CT, spine. sagittal view. W/L 1800/400 HU
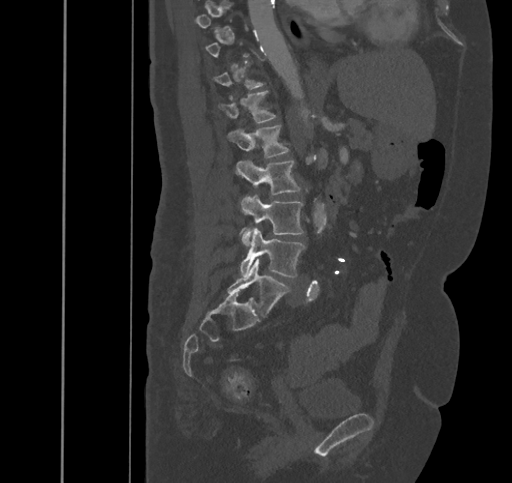 Each row gives a vertebra's box as x1, y1, x2, y2 in pixels: top-left corner, then bottom-right corner.
A vertebra is boxed only from the first to the last slice where its cross-section is at least a third of its largest; slices outside that range leave it without a box.
| vertebra | x1 | y1 | x2 | y2 |
|---|---|---|---|---|
| T11 | 212 | 62 | 265 | 99 |
| T12 | 218 | 90 | 276 | 122 |
| L1 | 228 | 124 | 289 | 157 |
| L2 | 235 | 161 | 300 | 195 |
| L3 | 242 | 195 | 304 | 245 |
| L4 | 240 | 228 | 305 | 277 |
| L5 | 227 | 259 | 289 | 316 |